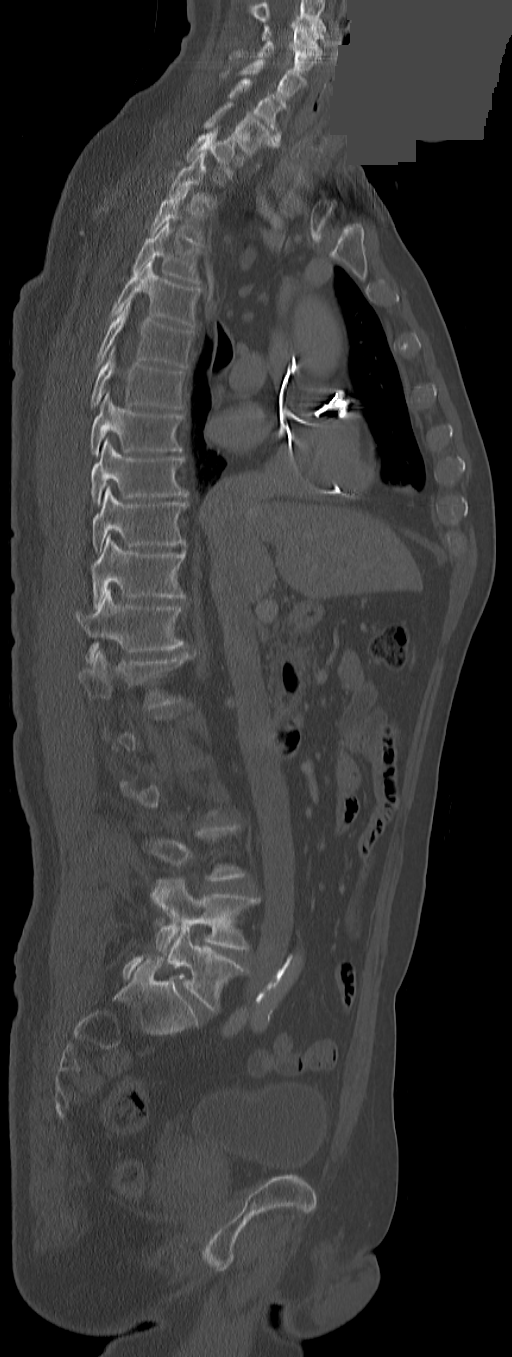
Computed tomography of the spine — sagittal view — Bone window (WL 400, WW 1800) — a portion of the image is blanked out (constant pixel value)
Each vertebra maps to its box as [x1, y1, x2, y2], the pixel coordinates of its top-left and bottom-right corners.
Each vertebra is boxed only on the slices from the first to the last where its cross-section reaches a third of its largest, so a slice outside that range leaves it unboxed.
This scan's labels start at C3 at the top and end at L5 at the bottom.
These labels give the spine a thirteenth thoracic vertebra: T13 sits between T12 and L1.
{"vertebrae":{"C3":[262,25,321,56],"C4":[229,40,319,73],"C5":[239,60,306,98],"C6":[229,79,285,141],"C7":[203,102,280,156],"T1":[185,127,235,177],"T2":[169,151,216,207],"T3":[150,186,205,246],"T4":[132,222,202,285],"T5":[109,258,198,327],"T6":[95,300,191,367],"T7":[90,347,184,408],"T8":[88,393,182,455],"T9":[90,439,188,505],"T10":[92,486,188,553],"T11":[92,535,186,609],"T12":[76,588,184,661],"T13":[78,648,195,709],"L4":[152,879,258,956],"L5":[167,925,247,1011]}}